Spine computed tomography · sagittal reformat · 391x670 px · the image is 391 mm wide · 17 vertebrae labeled in this scan
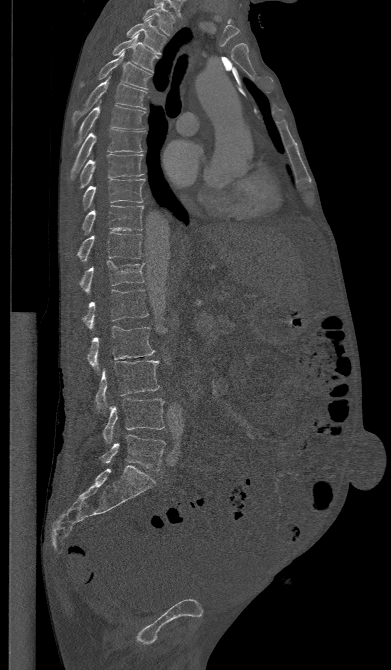

Bounding boxes as [x1, y1, x2, y2] in pixel coordinates. 17 vertebrae labeled — T1 at [142, 3, 174, 35]; T2 at [126, 18, 166, 54]; T3 at [112, 33, 157, 71]; T4 at [81, 51, 152, 89]; T5 at [72, 76, 147, 122]; T6 at [73, 100, 144, 147]; T7 at [70, 128, 144, 178]; T8 at [78, 154, 143, 188]; T9 at [82, 179, 144, 210]; T10 at [82, 205, 143, 234]; T11 at [77, 232, 142, 260]; T12 at [79, 260, 144, 293]; L1 at [82, 290, 148, 328]; L2 at [86, 326, 154, 369]; L3 at [95, 360, 159, 410]; L4 at [103, 398, 164, 443]; L5 at [100, 434, 165, 470].